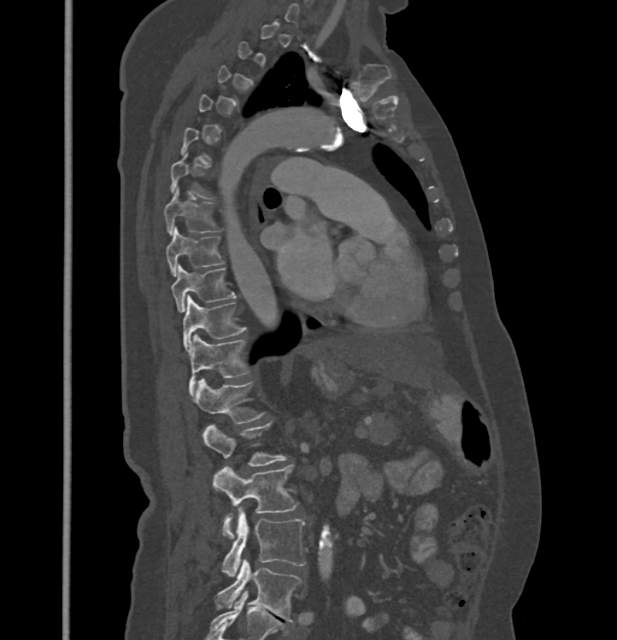
CT; sagittal view; bone-window reconstruction. Bounding boxes as [x1, y1, x2, y2] in pixel coordinates.
Each vertebra is boxed only on the slices from the first to the last where its cross-section reaches a third of its largest, so a slice outside that range leaves it unboxed.
These labels give this spine no T12: after T11 the next vertebra is L1.
T7: [164, 189, 217, 234]
T8: [165, 227, 223, 275]
T9: [171, 266, 234, 312]
T10: [183, 296, 245, 351]
T11: [188, 335, 247, 392]
L1: [192, 379, 262, 424]
L2: [202, 423, 286, 465]
L3: [212, 466, 298, 538]
L4: [223, 507, 305, 576]
L5: [216, 559, 300, 622]